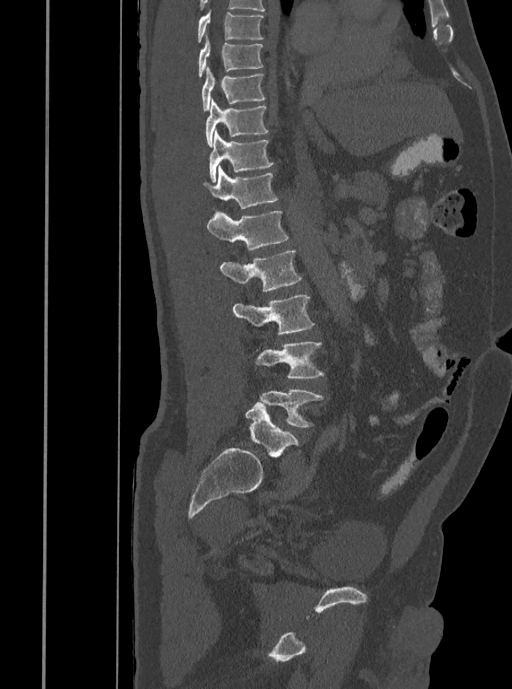 CT, spine. sagittal view. W/L 1800/400 HU. Coordinates as <box>x1,y1,x2,y2</box>. The labeled vertebrae in this slice are: T7 at <box>196,11,264,43</box>, T8 at <box>197,35,262,77</box>, T9 at <box>202,67,265,111</box>, T10 at <box>206,99,269,147</box>, T11 at <box>209,130,274,182</box>, T12 at <box>203,166,279,209</box>, L1 at <box>207,211,289,250</box>, L2 at <box>219,250,301,292</box>, L3 at <box>232,295,314,334</box>, L4 at <box>255,341,324,378</box>, L5 at <box>260,390,323,427</box>.